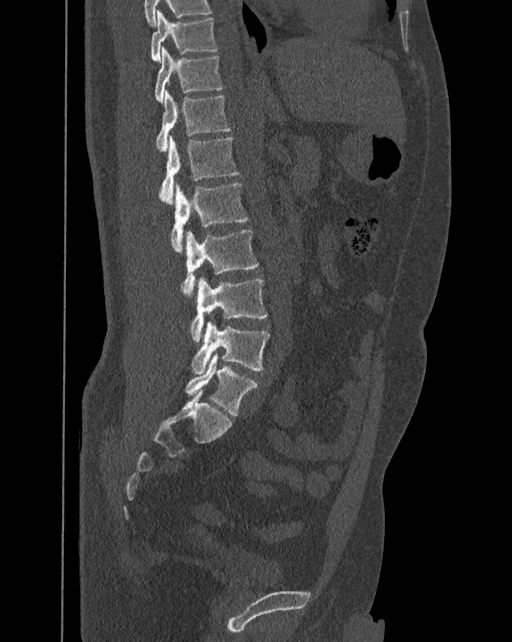 CT — sagittal view — W/L 1800/400 HU — 512x642 px — 392 mm across the image

Columns x1, y1, x2, y2 give each box's top-left and bottom-right pixels.
The labels name a sixth lumbar vertebra for this spine: L6, after L5.
| vertebra | x1 | y1 | x2 | y2 |
|---|---|---|---|---|
| T10 | 150 | 9 | 217 | 61 |
| T11 | 154 | 46 | 222 | 104 |
| T12 | 155 | 91 | 230 | 151 |
| L1 | 159 | 136 | 239 | 204 |
| L2 | 171 | 182 | 248 | 252 |
| L3 | 181 | 230 | 259 | 299 |
| L4 | 191 | 277 | 267 | 343 |
| L5 | 191 | 321 | 269 | 374 |
| L6 | 185 | 353 | 257 | 416 |